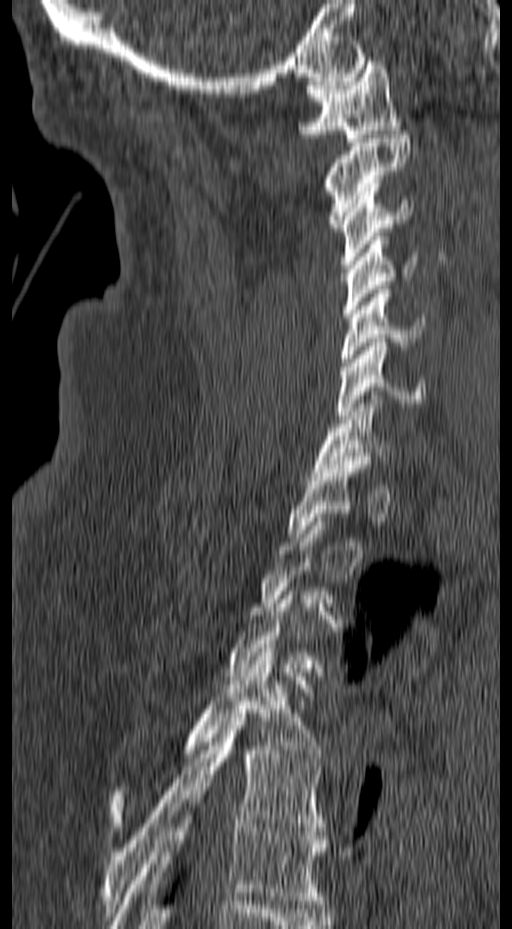

CT spine — sagittal reformat — 512x929 px

In the table, x1 and y1 are a box's top-left corner and x2 and y2 its bottom-right corner, in pixels.
A vertebra gets a box only on the slices from the first to the last where its cross-section is at least a third of its largest; on a slice outside that range it gets none.
| vertebra | x1 | y1 | x2 | y2 |
|---|---|---|---|---|
| T6 | 110 | 787 | 326 | 928 |
| T5 | 102 | 713 | 325 | 916 |
| T4 | 110 | 648 | 323 | 827 |
| C7 | 312 | 391 | 391 | 476 |
| C6 | 336 | 338 | 426 | 419 |
| C5 | 340 | 285 | 424 | 370 |
| C4 | 343 | 232 | 418 | 317 |
| C3 | 339 | 183 | 414 | 268 |
| C2 | 324 | 130 | 411 | 231 |
| C1 | 298 | 61 | 401 | 142 |